Spine computed tomography — sagittal reformat — bone window — 317x559 px
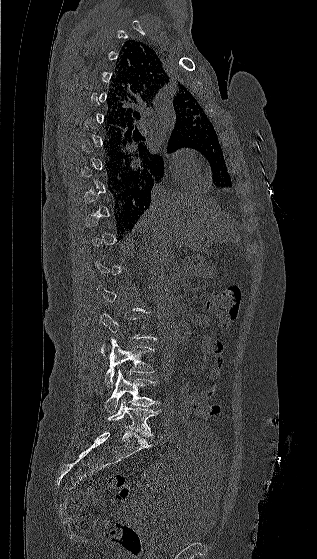

Box edges are left/top/right/bottom in pixels.
A vertebra gets a box only on the slices from the first to the last where its cross-section is at least a third of its largest; on a slice outside that range it gets none.
| vertebra | x1 | y1 | x2 | y2 |
|---|---|---|---|---|
| L5 | 106 | 399 | 158 | 436 |
| L4 | 105 | 369 | 160 | 413 |
| L3 | 104 | 338 | 154 | 387 |